Spine CT. sagittal plane, index 40. bone-window reconstruction. 234x234 px
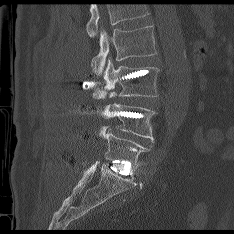
Each row gives a vertebra's box as x1, y1, x2, y2 in pixels: top-left corner, then bottom-right corner.
Vertebrae that run past the top of the scan are left unlabeled.
| vertebra | x1 | y1 | x2 | y2 |
|---|---|---|---|---|
| L2 | 91 | 26 | 156 | 74 |
| L3 | 93 | 59 | 158 | 98 |
| L4 | 96 | 92 | 155 | 142 |
| L5 | 100 | 126 | 149 | 166 |